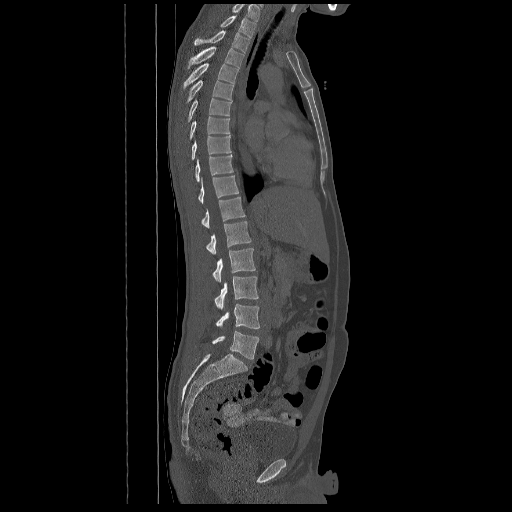 CT spine · sagittal view · W/L 1800/400 HU · 512x512 px
Each box given as x1,y1,x2,y2. In this scan, the topmost labeled vertebra is T2 and the lowest is L5. The labeled vertebrae in this slice are: L5 at x1=212, y1=331, x2=259, y2=359, L4 at x1=216, y1=304, x2=259, y2=328, L3 at x1=215, y1=276, x2=258, y2=309, L2 at x1=212, y1=248, x2=255, y2=282, L1 at x1=206, y1=221, x2=251, y2=254, T12 at x1=201, y1=196, x2=245, y2=227, T11 at x1=198, y1=175, x2=238, y2=203, T10 at x1=195, y1=155, x2=233, y2=182, T9 at x1=191, y1=136, x2=231, y2=160, T8 at x1=189, y1=116, x2=230, y2=139, T7 at x1=187, y1=98, x2=231, y2=122, T6 at x1=185, y1=80, x2=234, y2=103, T5 at x1=182, y1=63, x2=238, y2=90, T4 at x1=187, y1=46, x2=243, y2=69, T3 at x1=194, y1=30, x2=250, y2=53, T2 at x1=220, y1=15, x2=256, y2=37.